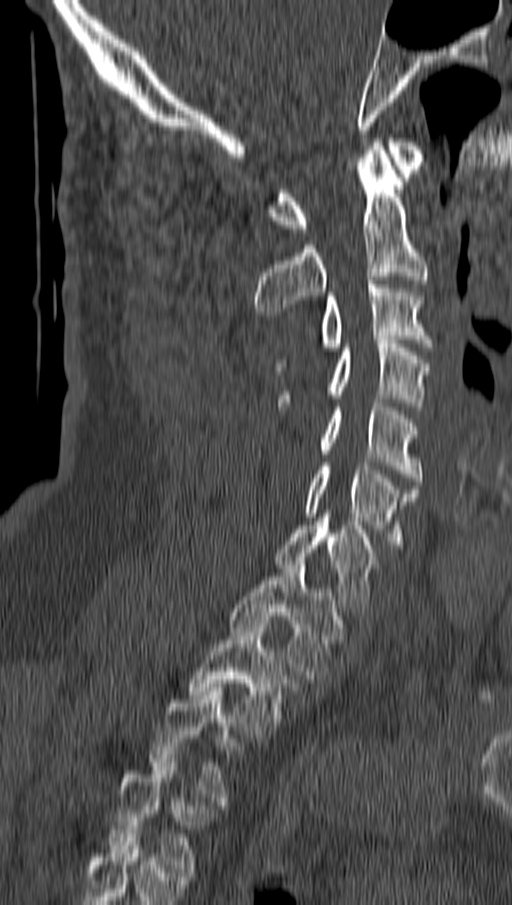

Spine CT; sagittal reformat; Bone window (WL 400, WW 1800); 512x905 px; 162 mm image width
Box edges are left/top/right/bottom in pixels. Each vertebra is boxed only on the slices from the first to the last where its cross-section reaches a third of its largest, so a slice outside that range leaves it unboxed. Labels in this scan begin with C1 at the top and end with T4 at the bottom. 10 vertebrae labeled — C1 at left=270, top=138, right=425, bottom=232; C2 at left=254, top=142, right=427, bottom=315; C3 at left=276, top=280, right=431, bottom=374; C4 at left=279, top=340, right=430, bottom=406; C5 at left=320, top=399, right=420, bottom=485; C6 at left=304, top=462, right=418, bottom=548; C7 at left=276, top=514, right=373, bottom=611; T1 at left=229, top=561, right=338, bottom=679; T2 at left=188, top=620, right=294, bottom=738; T4 at left=109, top=759, right=206, bottom=872.